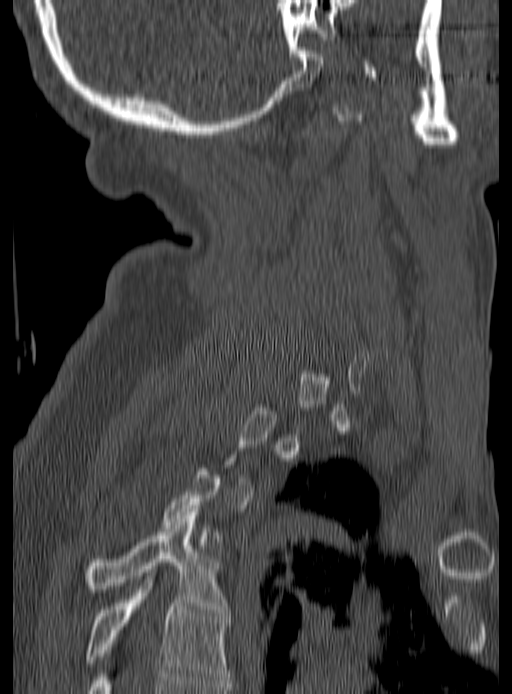

CT spine. sagittal view. bone window. the image is 190 mm wide. 512x694 px

Boxes are (x1, y1, x2, y2) in pixels. Not every vertebra on this slice has a box: a vertebra is boxed only from the first to the last slice where its cross-section is at least a third of its largest, and this slice is outside that range for at least one of them. 2 vertebrae labeled — T4 at (87, 512, 229, 612); T5 at (87, 579, 229, 683).